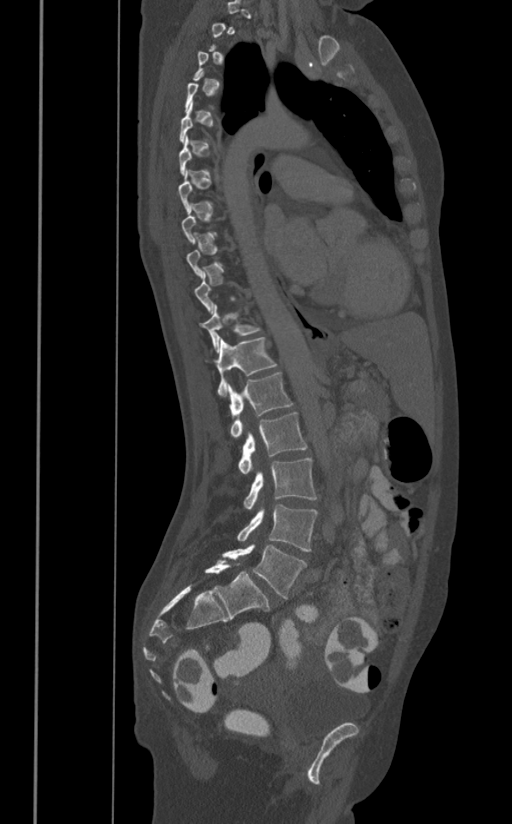

Spine CT. image width 391 mm. sagittal view
Box edges are left/top/right/bottom in pixels. A vertebra gets a box only on the slices from the first to the last where its cross-section is at least a third of its largest; on a slice outside that range it gets none. 7 vertebrae labeled — T11 at left=200, top=304, right=261, bottom=353; T12 at left=216, top=337, right=278, bottom=396; L1 at left=228, top=372, right=293, bottom=437; L2 at left=238, top=412, right=308, bottom=474; L3 at left=243, top=458, right=318, bottom=508; L4 at left=237, top=504, right=318, bottom=552; L5 at left=222, top=543, right=307, bottom=599.